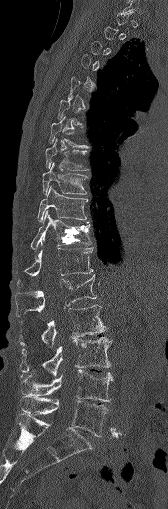
Spine computed tomography; sagittal view; bone window

Each vertebra is boxed only on the slices from the first to the last where its cross-section reaches a third of its largest, so a slice outside that range leaves it unboxed.
<vertebrae><v name="T8" x1="45" y1="140" x2="87" y2="170"/><v name="T9" x1="42" y1="163" x2="87" y2="194"/><v name="T10" x1="38" y1="186" x2="87" y2="222"/><v name="T11" x1="31" y1="211" x2="91" y2="249"/><v name="T12" x1="25" y1="239" x2="93" y2="276"/><v name="L1" x1="15" y1="275" x2="96" y2="316"/><v name="L2" x1="19" y1="305" x2="105" y2="346"/><v name="L3" x1="20" y1="336" x2="110" y2="376"/><v name="L4" x1="19" y1="370" x2="112" y2="401"/><v name="L5" x1="20" y1="395" x2="109" y2="436"/></vertebrae>